Spine CT; Sagittal slice 242/512; bone-window reconstruction; 607x607 px
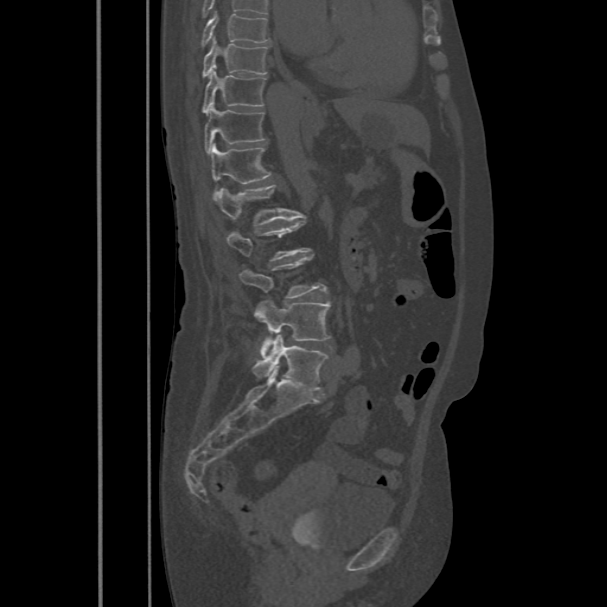
Boxes: x1:y1:x2:y2 in pixels.
T8: 200:12:271:47
T9: 202:38:268:77
T10: 202:70:266:114
T11: 204:104:264:154
T12: 211:143:272:200
L1: 214:185:298:226
L2: 227:220:310:261
L3: 238:255:326:299
L4: 254:301:330:356
L5: 253:335:328:390